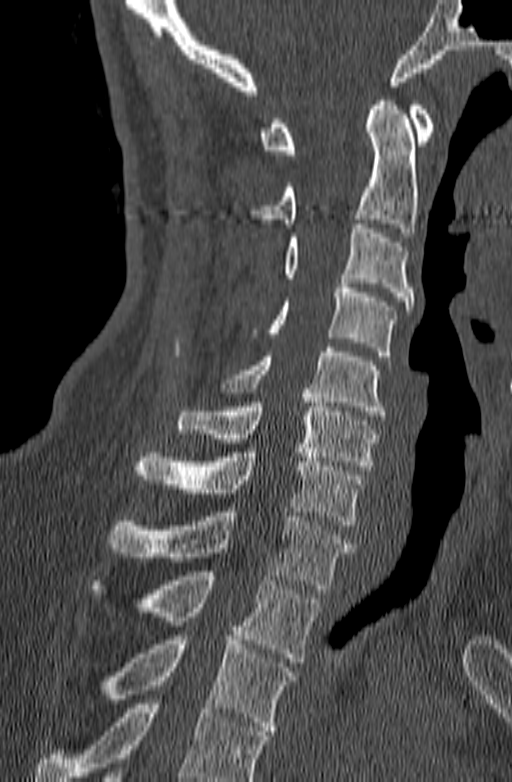 Computed tomography of the spine. sagittal view. bone-window reconstruction. 512x782 px
Box edges are left/top/right/bottom in pixels.
A vertebra cut off by the bottom edge of the scan is not labeled and has no box.
| vertebra | x1 | y1 | x2 | y2 |
|---|---|---|---|---|
| C1 | 258 | 101 | 434 | 154 |
| C2 | 249 | 96 | 418 | 237 |
| C3 | 283 | 224 | 413 | 310 |
| C4 | 248 | 279 | 397 | 356 |
| C5 | 222 | 347 | 385 | 420 |
| C6 | 177 | 393 | 377 | 470 |
| C7 | 133 | 448 | 362 | 525 |
| T1 | 107 | 507 | 353 | 589 |
| T2 | 90 | 571 | 320 | 662 |
| T3 | 103 | 631 | 296 | 735 |